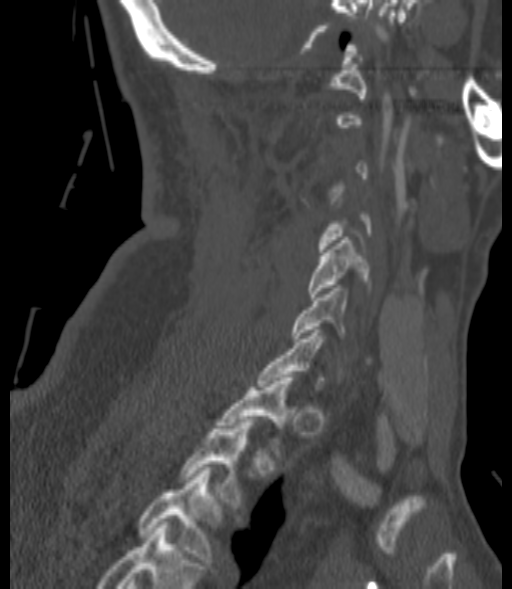 CT spine; sagittal reformat; bone window
Each box given as x1,y1,x2,y2.
Each vertebra is boxed only on the slices from the first to the last where its cross-section reaches a third of its largest, so a slice outside that range leaves it unboxed.
This scan's labels start at C1 at the top and end at T3 at the bottom.
C5: x1=308, y1=237, x2=370, y2=300
C6: x1=292, y1=288, x2=347, y2=341
T2: x1=180, y1=419, x2=253, y2=505
T3: x1=139, y1=467, x2=212, y2=562